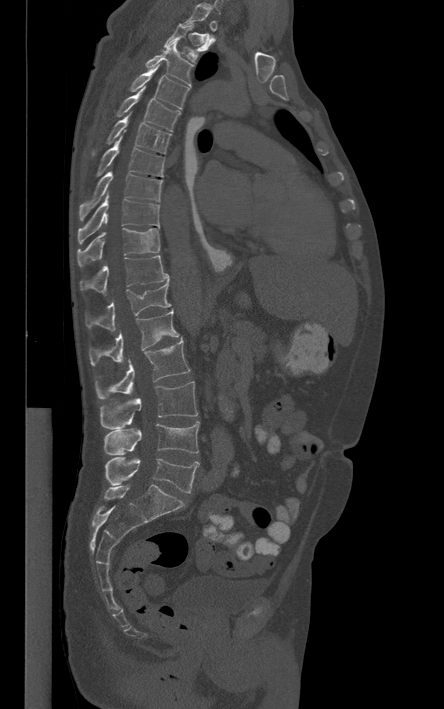 Spine CT. sagittal view. 444x709 px

Each vertebra is boxed only on the slices from the first to the last where its cross-section reaches a third of its largest, so a slice outside that range leaves it unboxed.
<vertebrae><v name="L5" x1="105" y1="457" x2="199" y2="493"/><v name="L4" x1="103" y1="421" x2="199" y2="455"/><v name="L3" x1="100" y1="382" x2="197" y2="429"/><v name="L2" x1="96" y1="339" x2="189" y2="398"/><v name="L1" x1="89" y1="310" x2="179" y2="365"/><v name="T12" x1="86" y1="281" x2="170" y2="331"/><v name="T11" x1="80" y1="255" x2="169" y2="295"/><v name="T10" x1="77" y1="228" x2="159" y2="265"/><v name="T9" x1="78" y1="195" x2="159" y2="242"/><v name="T8" x1="79" y1="172" x2="162" y2="219"/><v name="T7" x1="96" y1="131" x2="164" y2="176"/><v name="T6" x1="92" y1="112" x2="171" y2="154"/><v name="T5" x1="116" y1="86" x2="180" y2="131"/><v name="T4" x1="129" y1="64" x2="189" y2="109"/><v name="T3" x1="145" y1="40" x2="193" y2="85"/><v name="T2" x1="165" y1="23" x2="214" y2="63"/></vertebrae>